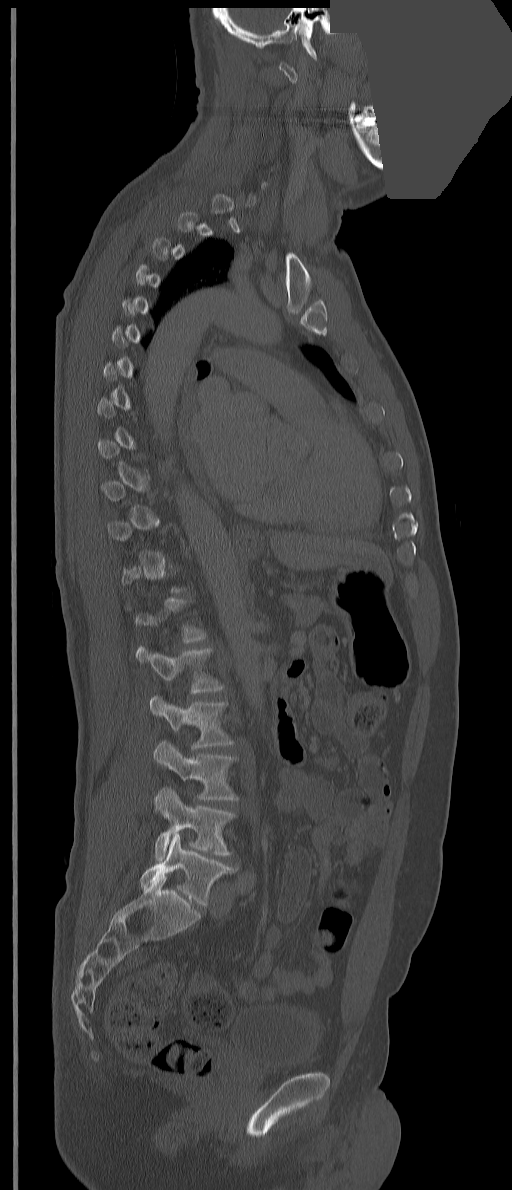

Spine computed tomography — sagittal view — 351 mm wide — an area of the scan was removed and filled with constant pixels
Boxes: x1 y1 x2 y2 (pixel coords, space-separated). Not every vertebra on this slice has a box: a vertebra is boxed only from the first to the last slice where its cross-section is at least a third of its largest, and this slice is outside that range for at least one of them. 5 vertebrae labeled — L1 at 136 646 224 693; L2 at 150 696 234 749; L3 at 153 740 238 800; L4 at 155 786 236 860; L5 at 140 833 238 906.